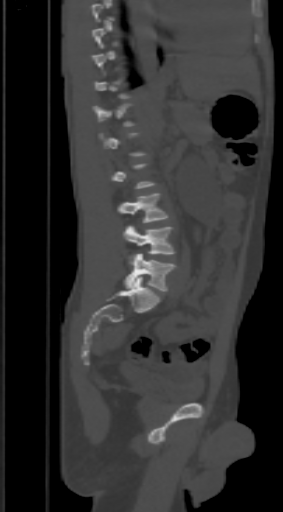
Spine computed tomography; sagittal view; the image is 303 mm wide; 283x512 px

Boxes: x1:y1:x2:y2 in pixels. A vertebra gets a box only on the slices from the first to the last where its cross-section is at least a third of its largest; on a slice outside that range it gets none. The labeled vertebrae in this slice are: L3 at 118:193:167:222, L4 at 123:225:175:253, L5 at 123:253:175:291.